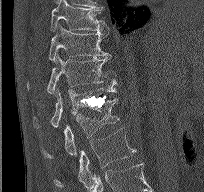

Spine computed tomography. sagittal view. Bone window (WL 400, WW 1800). 204x192 px
Each box given as x1,y1,x2,y2. The labeled vertebrae in this slice are: T9 at x1=50, y1=0, x2=109, y2=32, T10 at x1=48, y1=23, x2=111, y2=61, T11 at x1=27, y1=55, x2=117, y2=94, T12 at x1=33, y1=87, x2=117, y2=129, L1 at x1=42, y1=98, x2=119, y2=158, L2 at x1=53, y1=128, x2=136, y2=187.